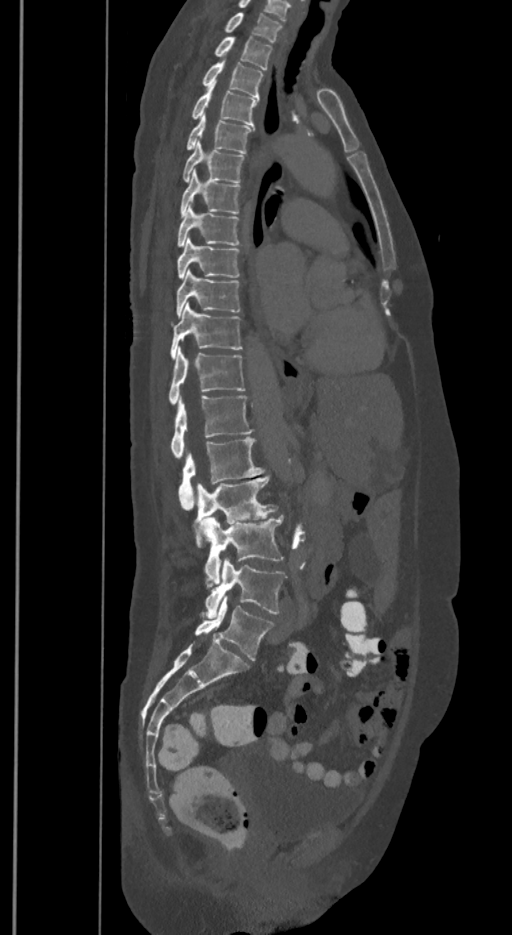
CT spine. sagittal reformat. Bone window (WL 400, WW 1800)
Boxes below are [x1, y1, x2, y2] in pixels.
These labels give the spine a sixth lumbar vertebra, L6, below L5.
{"vertebrae":{"T1":[224,12,281,41],"T2":[213,37,272,69],"T3":[202,62,264,98],"T4":[191,82,258,125],"T5":[186,115,253,153],"T6":[183,142,245,182],"T7":[180,170,240,216],"T8":[177,207,240,247],"T9":[177,237,240,278],"T10":[177,271,242,316],"T11":[169,303,242,358],"T12":[169,349,245,403],"L1":[171,395,252,457],"L2":[178,437,264,510],"L3":[194,475,277,548],"L4":[205,516,283,588],"L5":[205,560,285,616],"L6":[195,595,274,660]}}